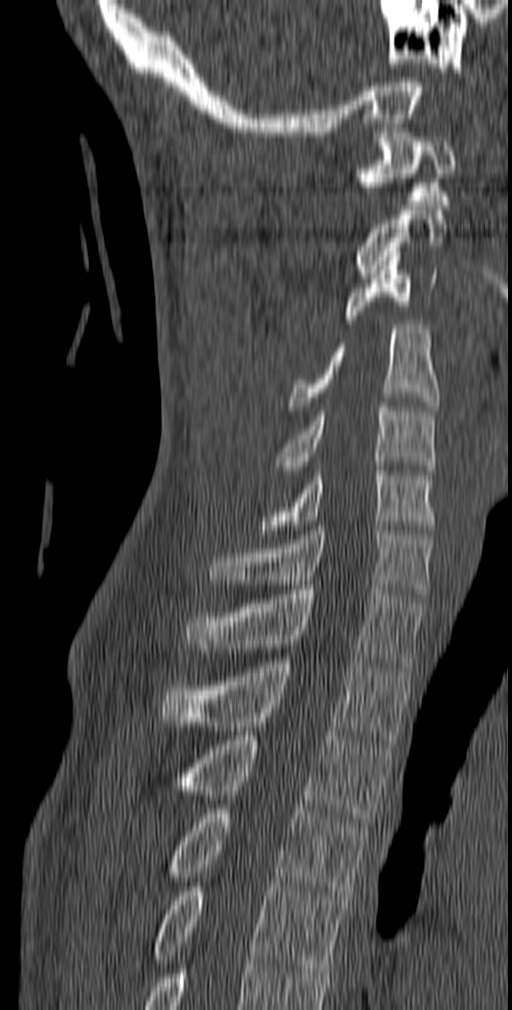
CT spine — sagittal reformat — bone-window reconstruction — the image spans 140 mm across — 512x1010 px
Box values are [left, top, right, bottom] in pixels.
{"vertebrae":{"C1":[356,133,455,205],"C2":[356,210,447,278],"C3":[344,251,437,324],"C4":[287,325,439,410],"C5":[272,407,436,474],"C6":[259,466,436,534],"C7":[208,526,433,598],"T1":[184,585,424,671],"T2":[161,658,412,740],"T3":[173,731,391,826],"T4":[166,809,367,900],"T5":[151,882,348,973]}}